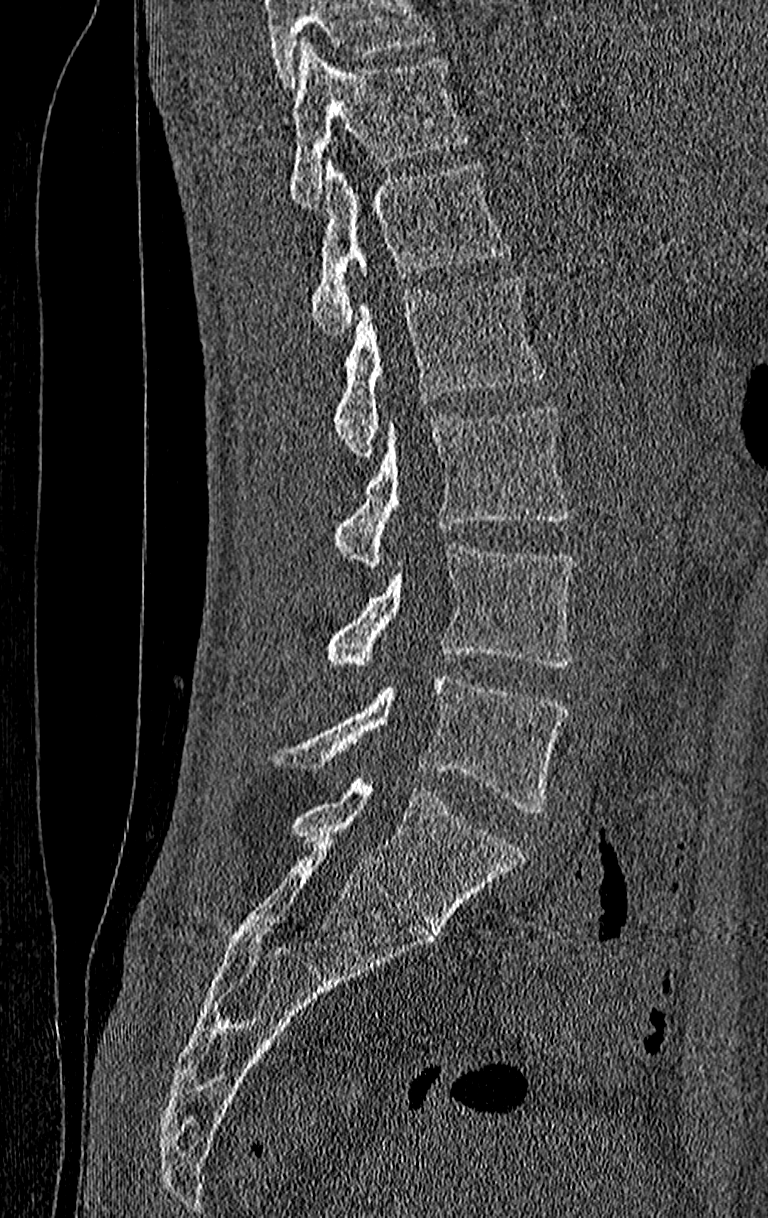
Computed tomography of the spine. sagittal view. Boxes are given in columns x1, y1, x2, y2, the pixel coordinates of their top-left and bottom-right corners.
Vertebrae that run past the top of the scan are left unlabeled.
In this scan, the topmost labeled vertebra is T11 and the lowest is L4.
| vertebra | x1 | y1 | x2 | y2 |
|---|---|---|---|---|
| T11 | 288 | 41 | 469 | 208 |
| T12 | 310 | 158 | 510 | 333 |
| L1 | 331 | 275 | 546 | 457 |
| L2 | 331 | 406 | 568 | 567 |
| L3 | 324 | 546 | 575 | 666 |
| L4 | 273 | 673 | 568 | 812 |